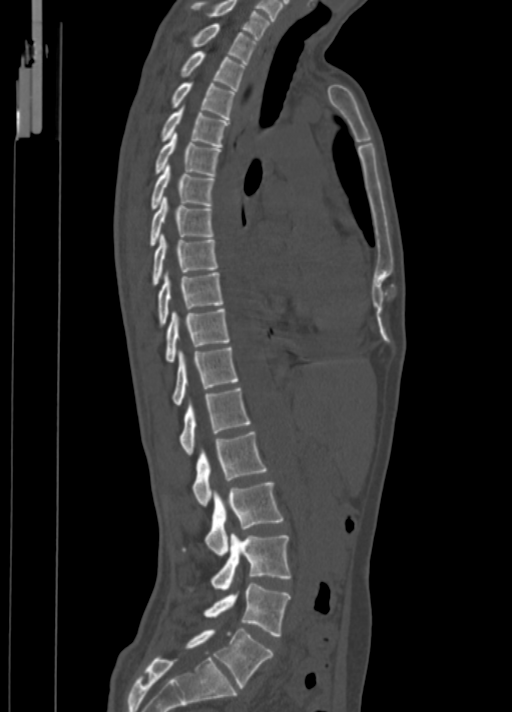
Spine computed tomography · the image spans 350 mm across · sagittal view · bone-window reconstruction
In the table, x1 and y1 are a box's top-left corner and x2 and y2 its bottom-right corner, in pixels.
| vertebra | x1 | y1 | x2 | y2 |
|---|---|---|---|---|
| C7 | 190 | 0 | 270 | 40 |
| T1 | 188 | 23 | 256 | 63 |
| T2 | 178 | 51 | 245 | 90 |
| T3 | 169 | 82 | 234 | 119 |
| T4 | 159 | 108 | 228 | 147 |
| T5 | 153 | 133 | 221 | 175 |
| T6 | 150 | 165 | 215 | 210 |
| T7 | 149 | 197 | 214 | 246 |
| T8 | 152 | 234 | 218 | 286 |
| T9 | 156 | 272 | 224 | 327 |
| T10 | 165 | 309 | 230 | 362 |
| T11 | 171 | 347 | 239 | 406 |
| T12 | 178 | 388 | 250 | 454 |
| L1 | 191 | 432 | 266 | 505 |
| L2 | 181 | 481 | 284 | 555 |
| L3 | 188 | 534 | 291 | 591 |
| L4 | 203 | 584 | 290 | 637 |
| L5 | 183 | 629 | 274 | 688 |